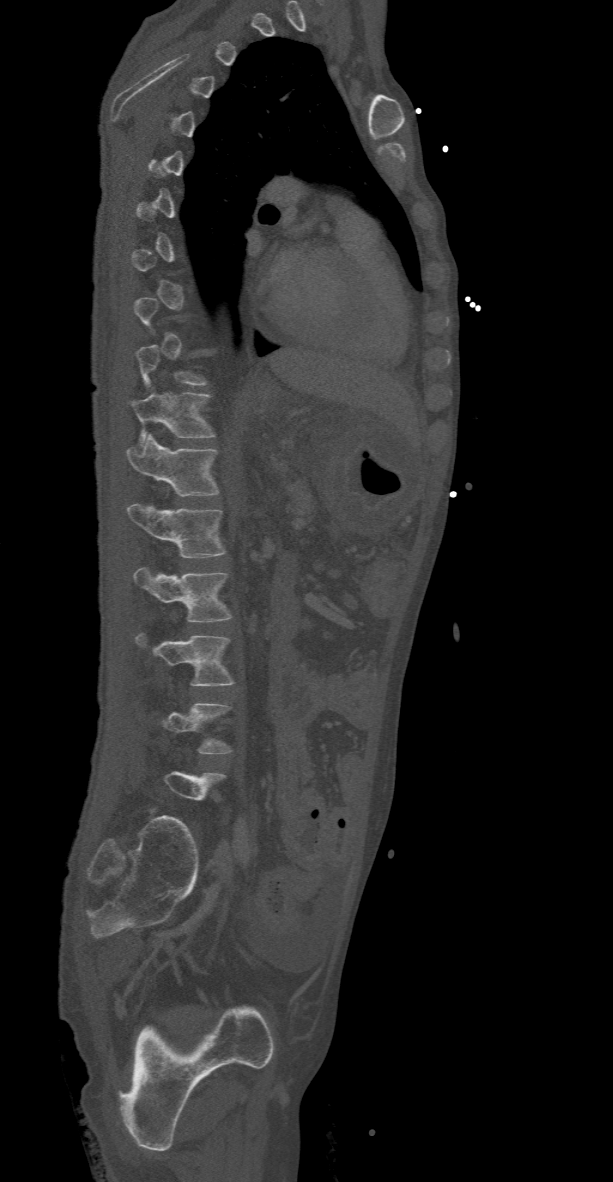

CT spine · the image spans 368 mm across · sagittal view

Each box given as x1,y1,x2,y2.
A vertebra is boxed only from the first to the last slice where its cross-section is at least a third of its largest; slices outside that range leave it without a box.
Vertebra bounding boxes:
- L3: x1=134, y1=634, x2=234, y2=686
- L2: x1=133, y1=567, x2=233, y2=621
- L1: x1=127, y1=504, x2=225, y2=558
- T12: x1=127, y1=434, x2=218, y2=496
- T11: x1=129, y1=392, x2=216, y2=445